CT spine. sagittal plane, index 76. bone-window reconstruction
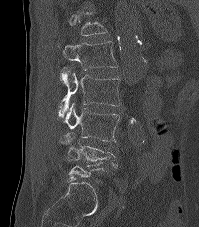
Each vertebra is boxed only on the slices from the first to the last where its cross-section reaches a third of its largest, so a slice outside that range leaves it unboxed.
<vertebrae><v name="L1" x1="63" y1="41" x2="118" y2="70"/><v name="L2" x1="58" y1="67" x2="120" y2="118"/><v name="L3" x1="65" y1="103" x2="119" y2="142"/><v name="L4" x1="59" y1="131" x2="118" y2="167"/></vertebrae>